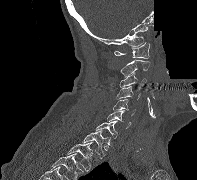
CT, spine · sagittal view · part of the image is constant black where the scan was masked
Boxes: x1:y1:x2:y2 in pixels.
T2: 67:142:94:171
T1: 82:129:110:158
C7: 96:121:117:138
C6: 107:110:131:128
C5: 113:99:135:116
C4: 116:86:140:100
C3: 119:72:146:90
C2: 120:59:150:76
C1: 114:42:149:58